CT. Sagittal slice 255/512. 712x702 px
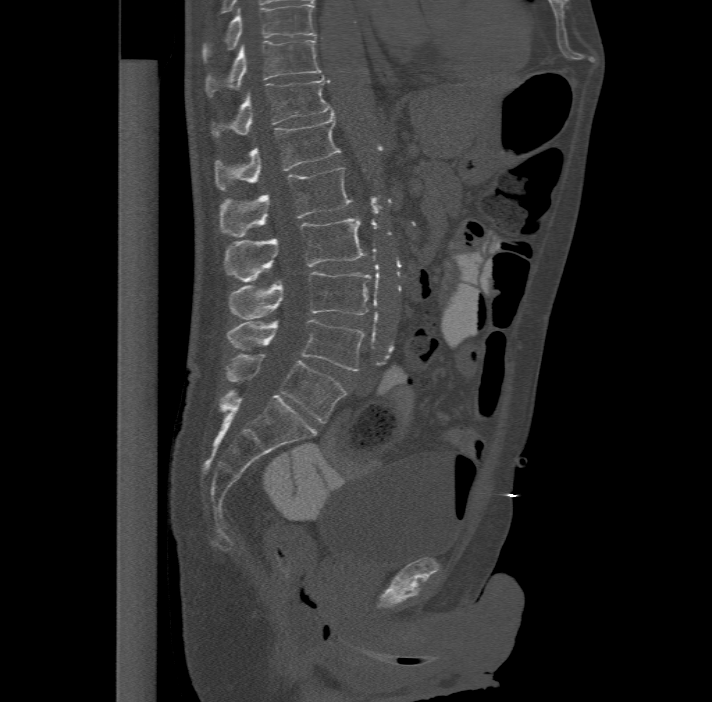
Each box given as x1,y1,x2,y2.
Labels in this scan begin with T11 at the top and end with L6 at the bottom.
In these labels the spine has an L6, a sixth lumbar vertebra below L5.
T11: x1=206, y1=39, x2=322, y2=94
T12: x1=211, y1=74, x2=333, y2=135
L1: x1=216, y1=112, x2=341, y2=188
L2: x1=220, y1=167, x2=351, y2=235
L3: x1=224, y1=216, x2=366, y2=281
L4: x1=228, y1=270, x2=372, y2=318
L5: x1=227, y1=318, x2=363, y2=370
L6: x1=225, y1=354, x2=345, y2=422